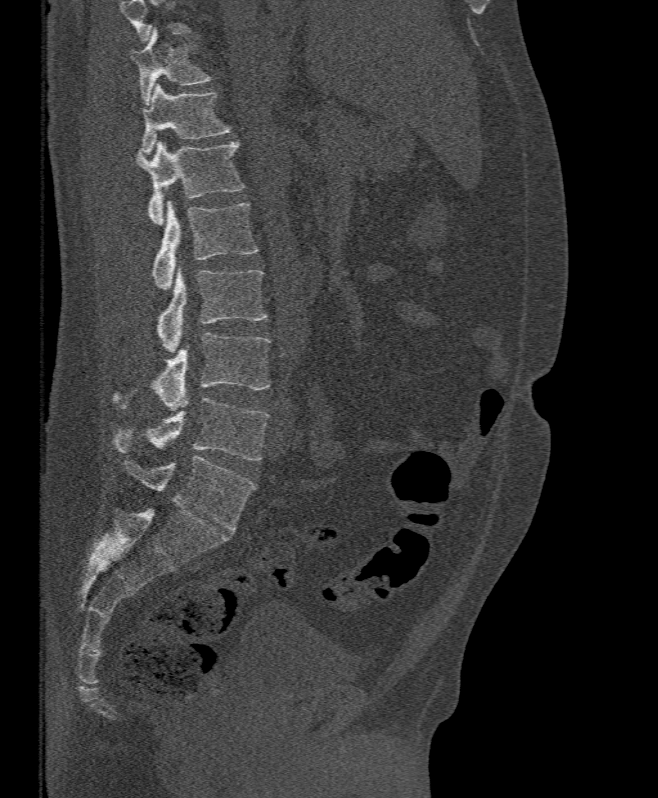 Spine computed tomography. sagittal view. 658x798 px. the image is 395 mm wide
Each row gives a vertebra's box as x1, y1, x2, y2 in pixels: top-left corner, then bottom-right corner.
No box is given to a vertebra that the top edge of the scan cuts off.
| vertebra | x1 | y1 | x2 | y2 |
|---|---|---|---|---|
| T11 | 131 | 27 | 214 | 104 |
| T12 | 140 | 83 | 230 | 155 |
| L1 | 136 | 140 | 246 | 224 |
| L2 | 152 | 200 | 259 | 289 |
| L3 | 157 | 270 | 268 | 352 |
| L4 | 112 | 332 | 270 | 409 |
| L5 | 112 | 398 | 269 | 461 |